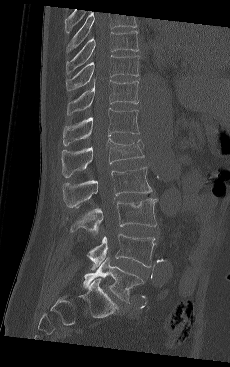

CT, spine; sagittal view; 230x367 px
In this scan, the topmost labeled vertebra is T9 and the lowest is L5.
<vertebrae><v name="T9" x1="66" y1="30" x2="139" y2="73"/><v name="T10" x1="66" y1="55" x2="139" y2="91"/><v name="T11" x1="67" y1="80" x2="138" y2="115"/><v name="T12" x1="63" y1="108" x2="139" y2="145"/><v name="L1" x1="61" y1="138" x2="144" y2="177"/><v name="L2" x1="62" y1="167" x2="152" y2="207"/><v name="L3" x1="70" y1="198" x2="157" y2="234"/><v name="L4" x1="87" y1="234" x2="155" y2="270"/><v name="L5" x1="83" y1="257" x2="144" y2="302"/></vertebrae>